Spine computed tomography · the image is 342 mm wide · Sagittal slice 290/512 · 512x642 px
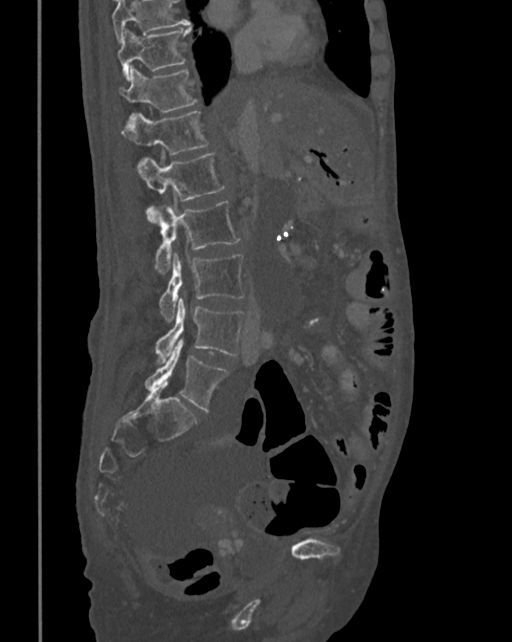
Box edges are left/top/right/bottom in pixels.
Vertebrae that run past the top of the scan are left unlabeled.
T10: left=117, top=26, right=190, bottom=81
T11: left=120, top=68, right=196, bottom=117
T12: left=121, top=111, right=207, bottom=154
L1: left=137, top=153, right=223, bottom=222
L2: left=149, top=201, right=240, bottom=274
L3: left=158, top=252, right=244, bottom=322
L4: left=155, top=299, right=246, bottom=364
L5: left=145, top=338, right=228, bottom=411